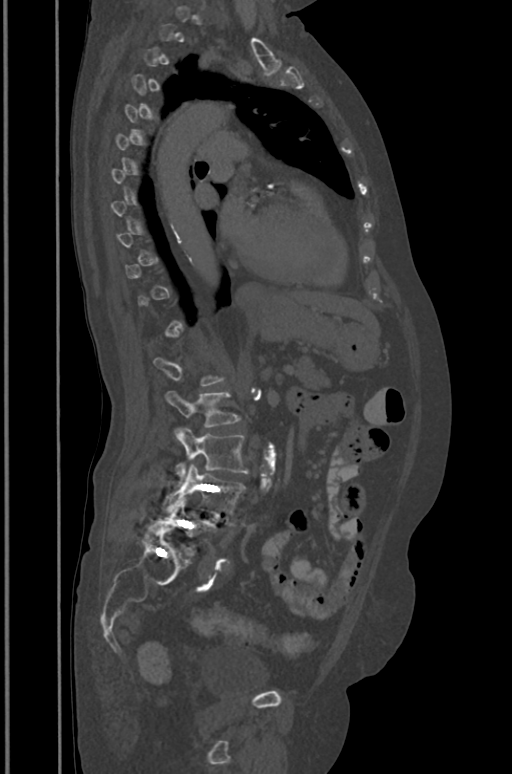

Spine computed tomography — sagittal view — W/L 1800/400 HU
Each vertebra maps to its box as [x1, y1, x2, y2], the pixel coordinates of its top-left and bottom-right corners.
Not every vertebra on this slice has a box: a vertebra is boxed only from the first to the last slice where its cross-section is at least a third of its largest, and this slice is outside that range for at least one of them.
{"vertebrae":{"L2":[165,391,240,427],"L3":[174,428,248,483],"L4":[164,464,245,519],"L5":[158,495,216,550]}}